CT. Sagittal slice 202/512. bone-window reconstruction. 512x681 px. 8 vertebrae labeled in this scan
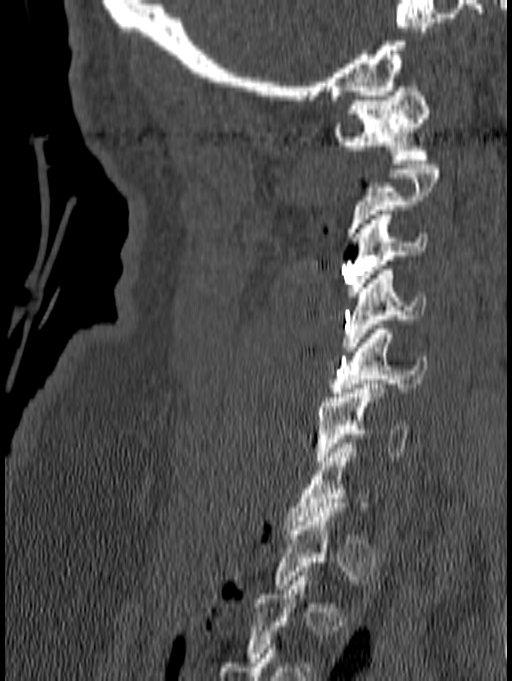
Bounding boxes as [x1, y1, x2, y2] in pixel coordinates. Not every vertebra on this slice has a box: a vertebra is boxed only from the first to the last slice where its cross-section is at least a third of its largest, and this slice is outside that range for at least one of them. 5 vertebrae labeled — C1 at [334, 82, 430, 164]; C3 at [348, 210, 428, 296]; C4 at [342, 270, 426, 351]; C5 at [330, 325, 427, 397]; C6 at [315, 384, 410, 465].